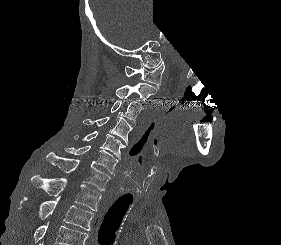
CT, spine; 281 mm wide; sagittal view; bone-window reconstruction; part of the image is constant black where the scan was masked

Where the bottom of the scan cuts through a vertebra, that vertebra gets no label or box.
<vertebrae><v name="C1" x1="125" y1="61" x2="164" y2="89"/><v name="C2" x1="115" y1="83" x2="156" y2="100"/><v name="C3" x1="110" y1="100" x2="141" y2="122"/><v name="C4" x1="83" y1="114" x2="132" y2="145"/><v name="C5" x1="74" y1="131" x2="125" y2="159"/><v name="C6" x1="64" y1="145" x2="118" y2="175"/><v name="C7" x1="46" y1="152" x2="110" y2="191"/><v name="T1" x1="30" y1="175" x2="101" y2="211"/><v name="T2" x1="18" y1="196" x2="93" y2="230"/></vertebrae>